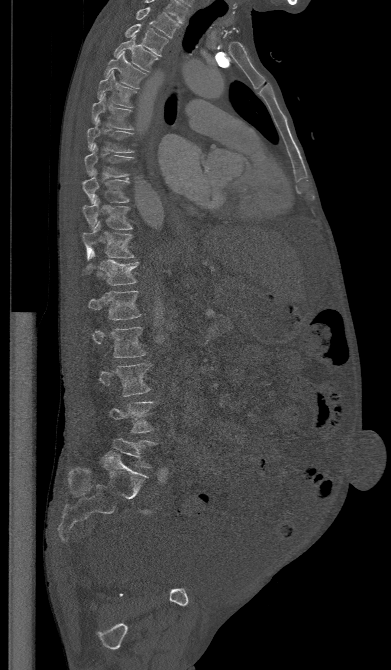 CT, spine. sagittal view

Boxes are (x1, y1, x2, y2) in pixels. The labeled vertebrae in this slice are: T1 at (136, 7, 179, 38), T2 at (125, 24, 168, 56), T3 at (114, 35, 158, 71), T4 at (104, 51, 146, 88), T5 at (97, 70, 137, 107), T6 at (91, 93, 133, 129), T7 at (87, 117, 133, 153), T8 at (84, 144, 134, 176), T9 at (83, 170, 129, 202), T10 at (83, 196, 132, 229), T11 at (82, 221, 134, 260), T12 at (81, 250, 139, 285), L1 at (88, 291, 141, 320), L2 at (92, 327, 146, 357), L3 at (99, 363, 152, 396), L4 at (108, 401, 158, 432), L5 at (112, 438, 157, 468).